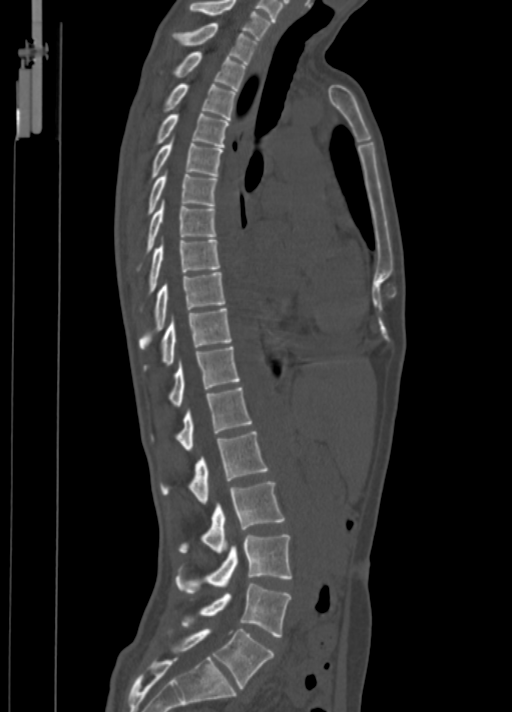

Spine computed tomography. sagittal view. bone window
<vertebrae><v name="L5" x1="167" y1="629" x2="274" y2="688"/><v name="L4" x1="180" y1="584" x2="291" y2="637"/><v name="L3" x1="175" y1="534" x2="291" y2="593"/><v name="L2" x1="178" y1="481" x2="284" y2="552"/><v name="L1" x1="161" y1="432" x2="268" y2="502"/><v name="T12" x1="150" y1="386" x2="252" y2="450"/><v name="T11" x1="168" y1="347" x2="240" y2="407"/><v name="T10" x1="143" y1="307" x2="231" y2="371"/><v name="T9" x1="139" y1="272" x2="226" y2="349"/><v name="T8" x1="146" y1="240" x2="220" y2="296"/><v name="T7" x1="136" y1="199" x2="217" y2="271"/><v name="T6" x1="146" y1="174" x2="217" y2="216"/><v name="T5" x1="149" y1="143" x2="223" y2="182"/><v name="T4" x1="153" y1="114" x2="228" y2="147"/><v name="T3" x1="162" y1="83" x2="236" y2="119"/><v name="T2" x1="161" y1="51" x2="246" y2="90"/><v name="T1" x1="172" y1="22" x2="258" y2="63"/><v name="C7" x1="188" y1="0" x2="271" y2="40"/></vertebrae>